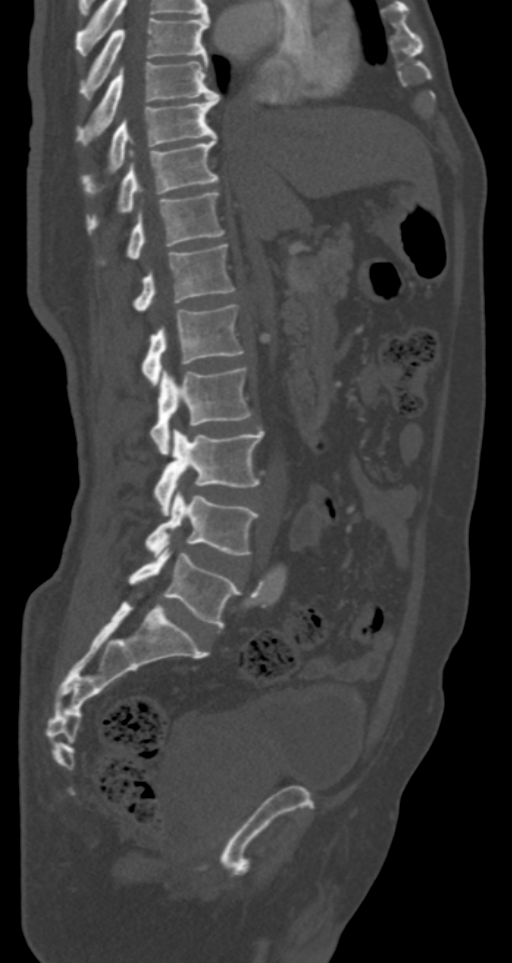 Spine CT — sagittal view — bone-window reconstruction
Coordinates as <box>x1,y1,x2,y2</box>. Vertebrae labeled: L5 at <box>128,543,239,627</box>, L4 at <box>146,488,259,557</box>, L3 at <box>155,428,263,515</box>, L2 at <box>151,367,250,454</box>, L1 at <box>142,305,243,386</box>, T12 at <box>135,244,234,312</box>, T11 at <box>128,192,223,257</box>, T10 at <box>89,137,218,229</box>, T9 at <box>110,96,218,170</box>, T8 at <box>78,60,220,143</box>, T7 at <box>78,17,209,99</box>.